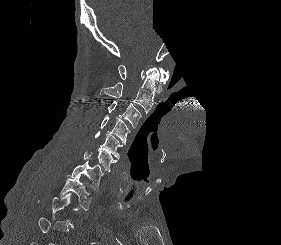
Spine computed tomography; sagittal reformat; 281x245 px; part of the image has been replaced by a constant value
A vertebra is boxed only from the first to the last slice where its cross-section is at least a third of its largest; slices outside that range leave it without a box.
<vertebrae><v name="T1" x1="59" y1="175" x2="90" y2="210"/><v name="C7" x1="67" y1="160" x2="103" y2="189"/><v name="C6" x1="83" y1="148" x2="117" y2="172"/><v name="C5" x1="94" y1="131" x2="122" y2="159"/><v name="C4" x1="101" y1="114" x2="130" y2="144"/><v name="C3" x1="108" y1="101" x2="141" y2="128"/><v name="C2" x1="100" y1="67" x2="158" y2="114"/><v name="C1" x1="118" y1="65" x2="169" y2="93"/></vertebrae>